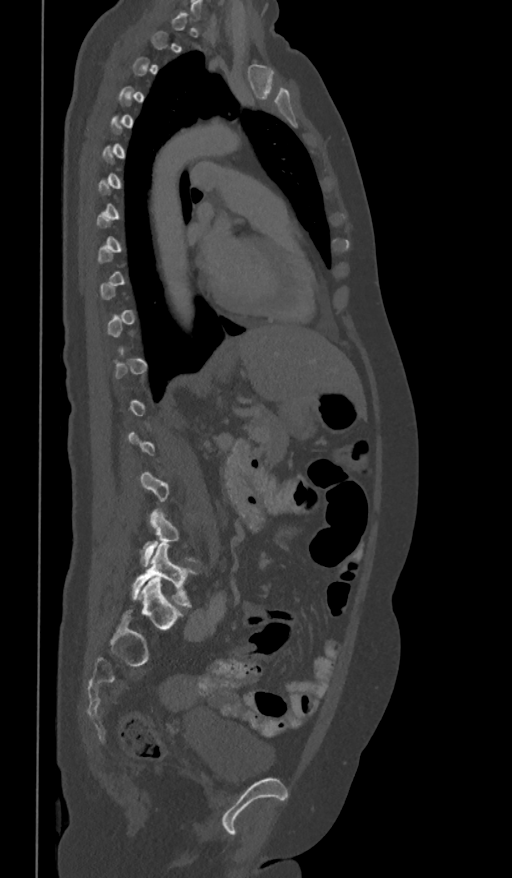

Spine computed tomography — sagittal view — 361 mm across the image
Each box is [x1, y1, x2, y2] in pixels: top-left corner, then bottom-right corner.
Not every vertebra on this slice has a box: a vertebra is boxed only from the first to the last slice where its cross-section is at least a third of its largest, and this slice is outside that range for at least one of them.
{"vertebrae":{"L5":[132,544,197,607],"L4":[142,508,199,567]}}